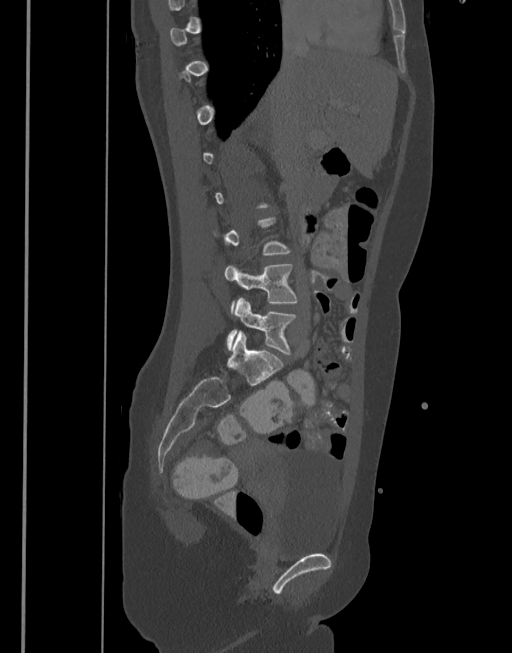

Computed tomography of the spine. sagittal view

Each box given as x1,y1,x2,y2.
Each vertebra is boxed only on the slices from the first to the last where its cross-section reaches a third of its largest, so a slice outside that range leaves it unboxed.
L4: x1=224, y1=264, x2=298, y2=314
L5: x1=226, y1=297, x2=298, y2=355